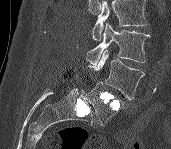 CT. sagittal view. 171 mm wide. bone window. Coordinates as <box>x1,y1,x2,y2</box>.
Vertebrae that run past the top of the scan are left unlabeled.
Vertebra bounding boxes:
- L3: <box>86,23,149,64</box>
- L4: <box>87,49,145,100</box>
- L5: <box>84,82,123,125</box>